CT spine · sagittal view · bone-window reconstruction · 778x725 px · 8 vertebrae labeled in this scan
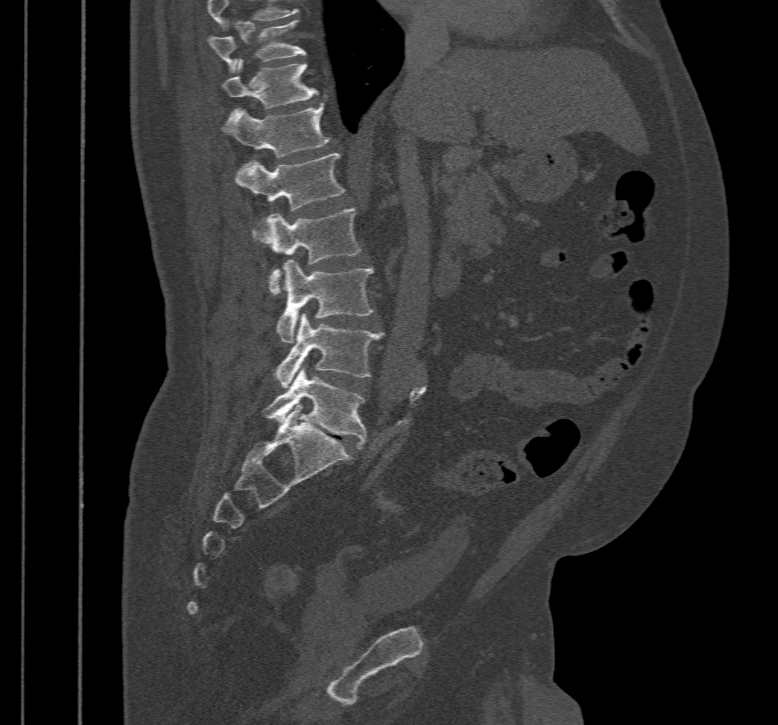 Each box given as x1,y1,x2,y2.
In this scan, the topmost labeled vertebra is T10 and the lowest is L5.
L5: x1=260, y1=367, x2=365, y2=448
L4: x1=271, y1=314, x2=388, y2=389
L3: x1=277, y1=260, x2=374, y2=343
L2: x1=254, y1=209, x2=361, y2=294
L1: x1=236, y1=153, x2=346, y2=239
T12: x1=223, y1=102, x2=330, y2=158
T11: x1=222, y1=57, x2=317, y2=109
T10: x1=208, y1=20, x2=306, y2=73